CT, spine; sagittal reformat; bone window
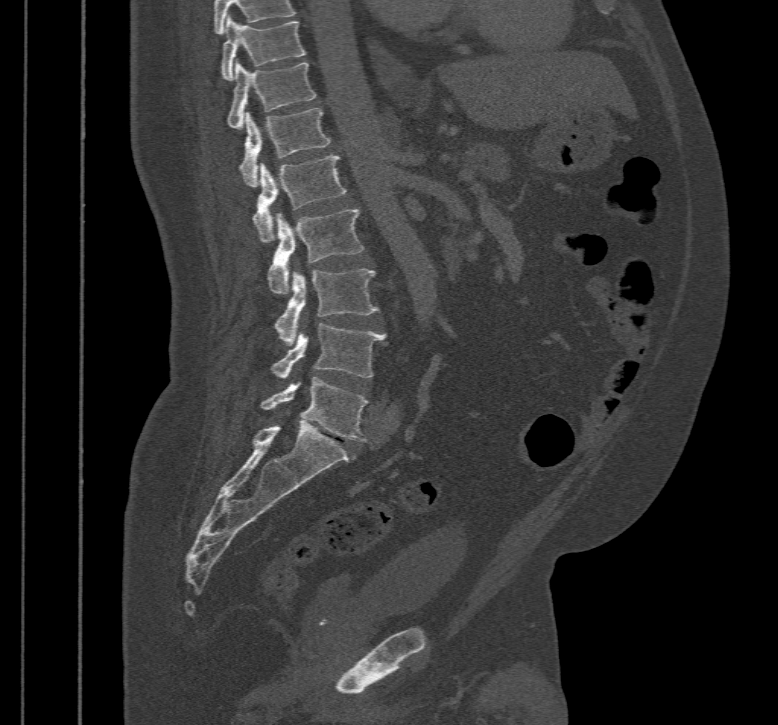 Columns x1, y1, x2, y2 give each box's top-left and bottom-right pixels.
| vertebra | x1 | y1 | x2 | y2 |
|---|---|---|---|---|
| L5 | 260 | 377 | 367 | 441 |
| L4 | 272 | 324 | 387 | 379 |
| L3 | 275 | 268 | 379 | 344 |
| L2 | 268 | 209 | 364 | 293 |
| L1 | 254 | 155 | 346 | 241 |
| T12 | 240 | 107 | 330 | 186 |
| T11 | 227 | 61 | 315 | 129 |
| T10 | 222 | 15 | 306 | 81 |